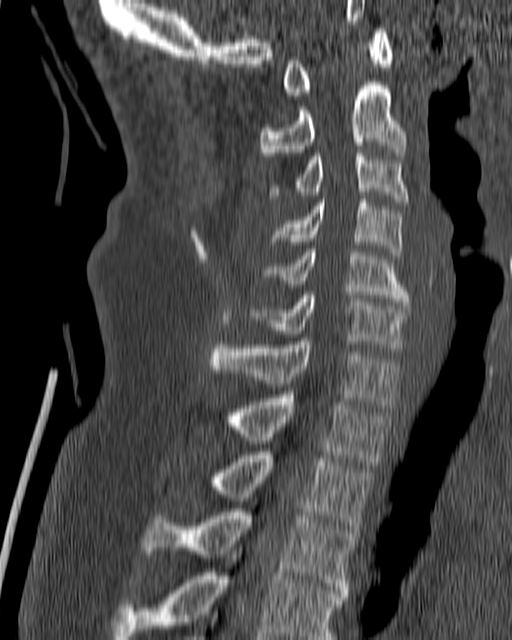 Spine computed tomography · sagittal view · 512x640 px
<vertebrae><v name="C1" x1="282" y1="28" x2="393" y2="95"/><v name="C2" x1="260" y1="82" x2="407" y2="159"/><v name="C3" x1="270" y1="153" x2="409" y2="205"/><v name="C4" x1="268" y1="196" x2="401" y2="255"/><v name="C5" x1="265" y1="249" x2="410" y2="305"/><v name="C6" x1="248" y1="292" x2="409" y2="347"/><v name="C7" x1="209" y1="338" x2="398" y2="408"/><v name="T1" x1="226" y1="395" x2="387" y2="465"/><v name="T2" x1="214" y1="452" x2="373" y2="532"/><v name="T3" x1="143" y1="508" x2="355" y2="593"/><v name="T4" x1="112" y1="548" x2="347" y2="639"/></vertebrae>